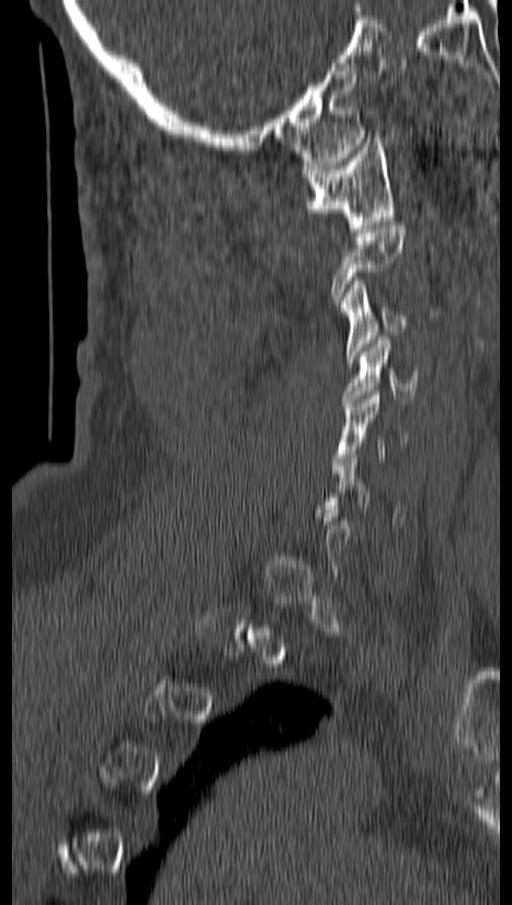

Spine CT — sagittal view — W/L 1800/400 HU — the image spans 162 mm across — 512x905 px
Boxes: x1:y1:x2:y2 in pixels.
A vertebra gets a box only on the slices from the first to the last where its cross-section is at least a third of its largest; on a slice outside that range it gets none.
Vertebra bounding boxes:
- C1: 302:138:394:232
- C3: 339:280:408:362
- C4: 342:336:416:406
- C5: 333:391:407:469